Computed tomography of the spine — sagittal view — 407x407 px
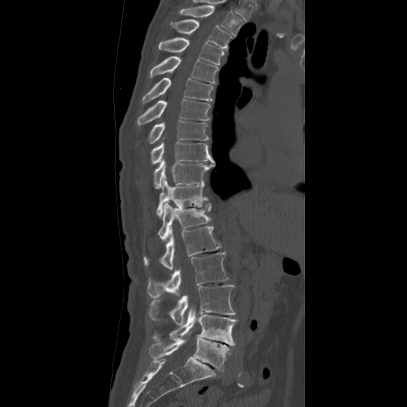
<vertebrae><v name="L5" x1="148" y1="337" x2="229" y2="371"/><v name="L4" x1="152" y1="308" x2="236" y2="345"/><v name="L3" x1="147" y1="285" x2="234" y2="325"/><v name="L2" x1="146" y1="252" x2="228" y2="298"/><v name="L1" x1="143" y1="226" x2="220" y2="268"/><v name="T12" x1="158" y1="202" x2="211" y2="240"/><v name="T11" x1="155" y1="179" x2="210" y2="217"/><v name="T10" x1="153" y1="160" x2="214" y2="189"/><v name="T9" x1="149" y1="142" x2="214" y2="165"/><v name="T8" x1="134" y1="120" x2="208" y2="149"/><v name="T7" x1="136" y1="99" x2="210" y2="126"/><v name="T6" x1="142" y1="77" x2="213" y2="103"/><v name="T5" x1="150" y1="55" x2="218" y2="83"/><v name="T4" x1="157" y1="37" x2="223" y2="65"/><v name="T3" x1="170" y1="18" x2="232" y2="49"/><v name="T2" x1="179" y1="4" x2="243" y2="36"/></vertebrae>